CT. Sagittal slice 137/512. bone window. 512x1010 px
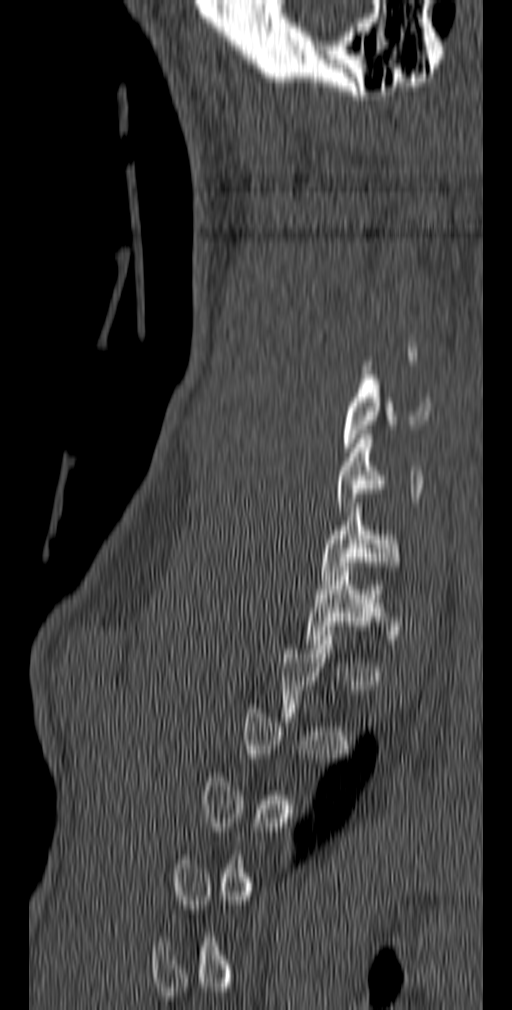
Not every vertebra on this slice has a box: a vertebra is boxed only from the first to the last slice where its cross-section is at least a third of its largest, and this slice is outside that range for at least one of them.
<vertebrae><v name="C5" x1="342" y1="375" x2="431" y2="452"/><v name="C6" x1="337" y1="430" x2="424" y2="516"/><v name="C7" x1="320" y1="498" x2="400" y2="584"/><v name="T1" x1="305" y1="562" x2="389" y2="648"/></vertebrae>